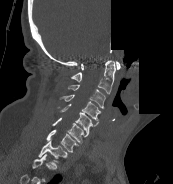
CT spine; sagittal view; 173 mm wide; 173x184 px; a region of this slice is masked with a uniform fill

In this scan, the topmost labeled vertebra is C1 and the lowest is T1.
<vertebrae><v name="C1" x1="81" y1="61" x2="120" y2="70"/><v name="C2" x1="71" y1="60" x2="115" y2="93"/><v name="C3" x1="68" y1="84" x2="105" y2="108"/><v name="C4" x1="60" y1="94" x2="101" y2="121"/><v name="C5" x1="57" y1="103" x2="98" y2="134"/><v name="C6" x1="52" y1="117" x2="87" y2="144"/><v name="C7" x1="46" y1="129" x2="78" y2="152"/><v name="T1" x1="38" y1="139" x2="67" y2="162"/></vertebrae>